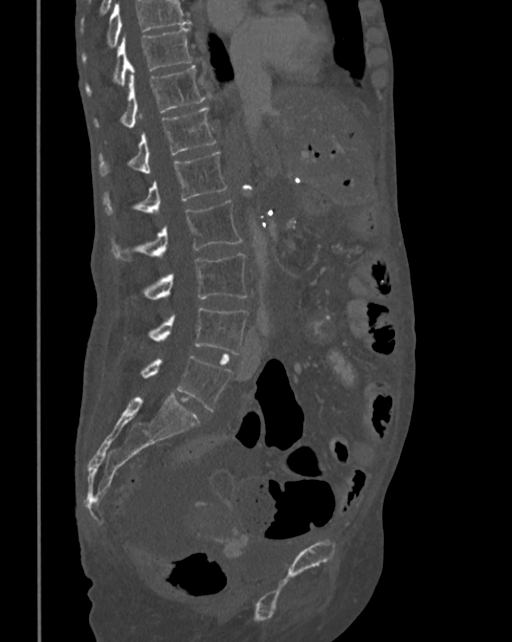
CT; sagittal reformat
Coordinates as <box>x1,y1,x2,y2</box>. Where the top of the scan cuts through a vertebra, that vertebra gets no label or box. 8 vertebrae labeled — T10 at <box>85,26,194,93</box>; T11 at <box>96,66,204,128</box>; T12 at <box>100,107,216,175</box>; L1 at <box>103,152,226,215</box>; L2 at <box>112,199,243,260</box>; L3 at <box>143,254,247,301</box>; L4 at <box>149,307,247,354</box>; L5 at <box>142,355,232,411</box>.